Computed tomography of the spine; the image is 336 mm wide; sagittal plane, index 283; bone-window reconstruction
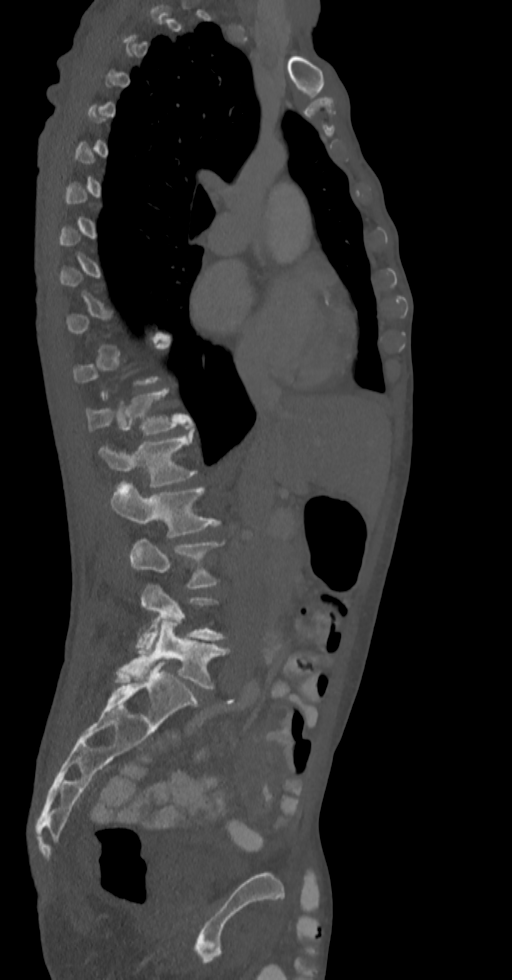 Bounding boxes as [x1, y1, x2, y2] in pixel coordinates. Each vertebra is boxed only on the slices from the first to the last where its cross-section reaches a third of its largest, so a slice outside that range leaves it unboxed. 6 vertebrae labeled — L5 at [118, 622, 229, 689]; L4 at [137, 584, 226, 653]; L3 at [129, 539, 224, 587]; L2 at [110, 482, 220, 537]; L1 at [99, 431, 197, 487]; T12 at [85, 389, 192, 435].